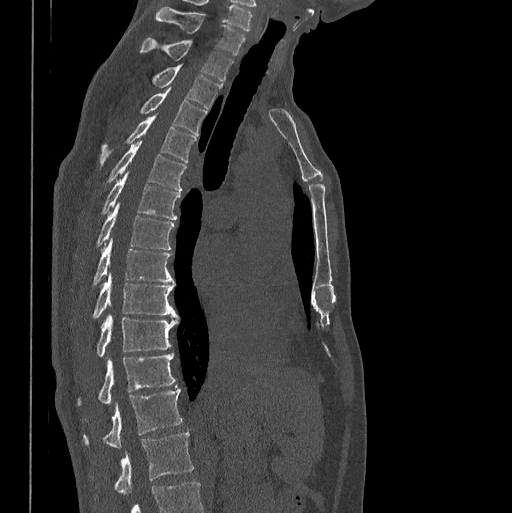 CT, spine. sagittal view. Bone window (WL 400, WW 1800). image width 398 mm. 512x513 px

Coordinates as <box>x1,y1,x2,y2</box>.
Labels in this scan begin with C7 at the top and end with L1 at the bottom.
Vertebra bounding boxes:
- C7: <box>156,7,245,56</box>
- T1: <box>140,38,233,81</box>
- T2: <box>153,64,221,108</box>
- T3: <box>140,88,206,134</box>
- T4: <box>100,115,196,162</box>
- T5: <box>109,141,185,190</box>
- T6: <box>103,170,180,220</box>
- T7: <box>98,203,174,249</box>
- T8: <box>94,239,173,283</box>
- T9: <box>94,273,178,317</box>
- T10: <box>98,314,178,357</box>
- T11: <box>78,353,175,403</box>
- T12: <box>83,386,182,447</box>
- L1: <box>114,431,193,493</box>